CT, spine; sagittal view; scan covers 17 annotated vertebrae
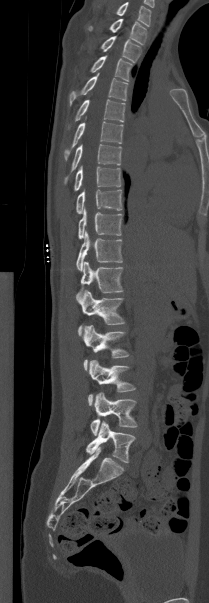 In this scan, the topmost labeled vertebra is T1 and the lowest is L5.
<vertebrae><v name="T1" x1="87" y1="18" x2="146" y2="44"/><v name="T2" x1="100" y1="36" x2="140" y2="62"/><v name="T3" x1="90" y1="55" x2="131" y2="81"/><v name="T4" x1="69" y1="73" x2="127" y2="104"/><v name="T5" x1="68" y1="99" x2="125" y2="127"/><v name="T6" x1="64" y1="121" x2="123" y2="159"/><v name="T7" x1="64" y1="144" x2="121" y2="183"/><v name="T8" x1="73" y1="165" x2="121" y2="191"/><v name="T9" x1="76" y1="189" x2="122" y2="213"/><v name="T10" x1="78" y1="209" x2="121" y2="239"/><v name="T11" x1="76" y1="230" x2="122" y2="271"/><v name="T12" x1="76" y1="261" x2="123" y2="299"/><v name="L1" x1="78" y1="290" x2="124" y2="334"/><v name="L2" x1="82" y1="325" x2="129" y2="370"/><v name="L3" x1="88" y1="360" x2="135" y2="405"/><v name="L4" x1="90" y1="392" x2="137" y2="435"/><v name="L5" x1="86" y1="421" x2="135" y2="462"/></vertebrae>